CT spine — Sagittal slice 89/165 — W/L 1800/400 HU — 512x1410 px — 252 mm wide — scan covers 21 annotated vertebrae — some of the image was removed or blocked out with constant pixels
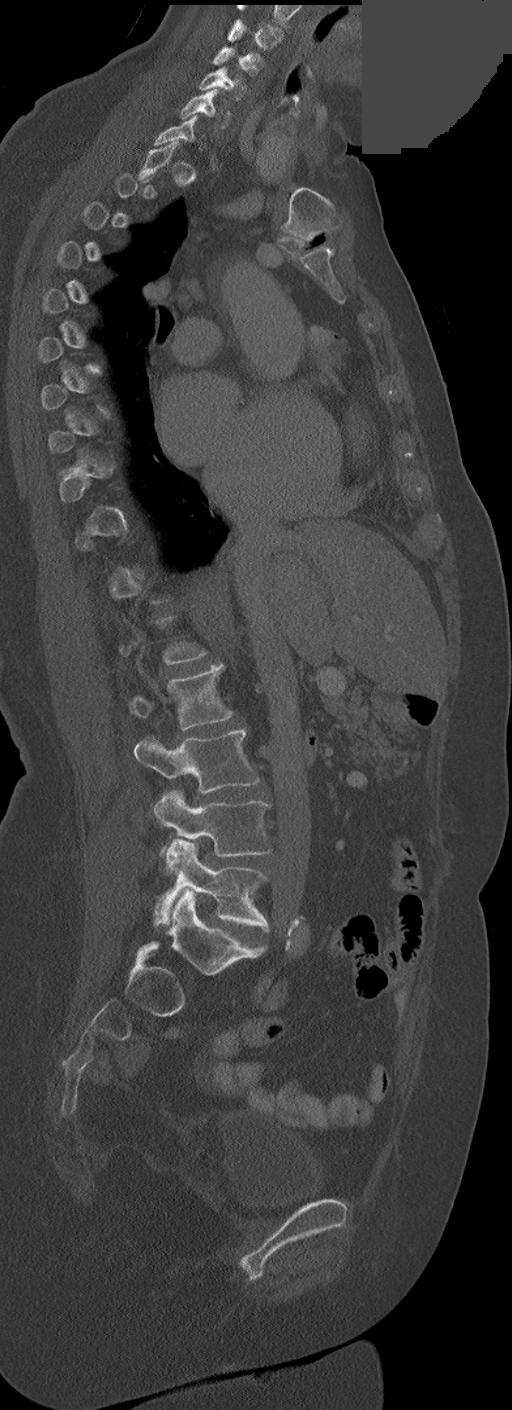 Each vertebra is boxed only on the slices from the first to the last where its cross-section reaches a third of its largest, so a slice outside that range leaves it unboxed.
<vertebrae><v name="C3" x1="228" y1="19" x2="282" y2="48"/><v name="C4" x1="214" y1="47" x2="262" y2="75"/><v name="C5" x1="199" y1="67" x2="245" y2="99"/><v name="C6" x1="180" y1="89" x2="225" y2="128"/><v name="L2" x1="131" y1="663" x2="231" y2="729"/><v name="L3" x1="135" y1="730" x2="260" y2="792"/><v name="L4" x1="153" y1="789" x2="272" y2="867"/><v name="L5" x1="153" y1="840" x2="268" y2="930"/></vertebrae>